Computed tomography of the spine — sagittal view — Bone window (WL 400, WW 1800) — 512x933 px — scan covers 10 annotated vertebrae — a region of this slice is masked with a uniform fill
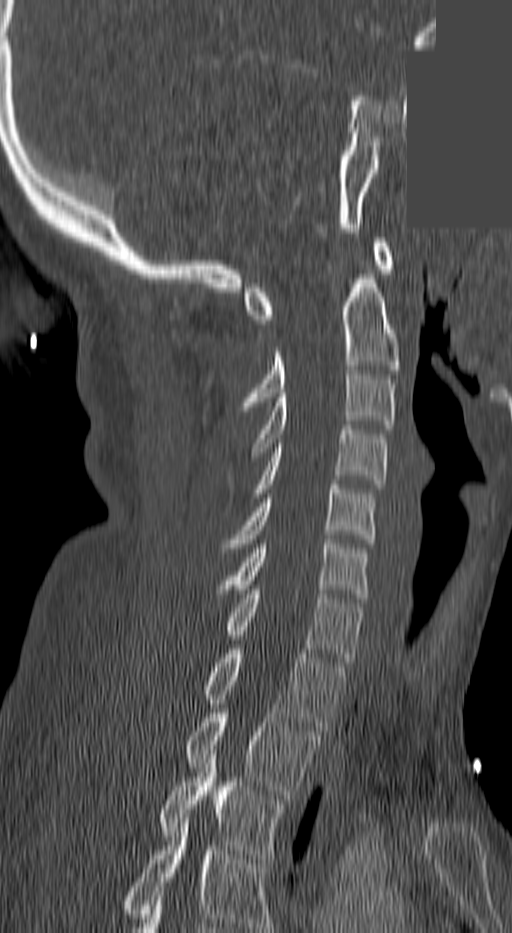
Coordinates as <box>x1,y1,x2,y2</box>.
Labels in this scan begin with C1 at the top and end with T3 at the bottom.
Vertebra bounding boxes:
- C1: <box>243,238,392,324</box>
- C2: <box>242,265,399,406</box>
- C3: <box>250,370,395,456</box>
- C4: <box>251,425,388,497</box>
- C5: <box>223,485,373,552</box>
- C6: <box>221,539,366,598</box>
- C7: <box>224,590,362,662</box>
- T1: <box>202,649,344,730</box>
- T2: <box>184,713,319,794</box>
- T3: <box>159,750,286,858</box>